Spine CT — sagittal reformat — 512x651 px — 7 vertebrae labeled in this scan
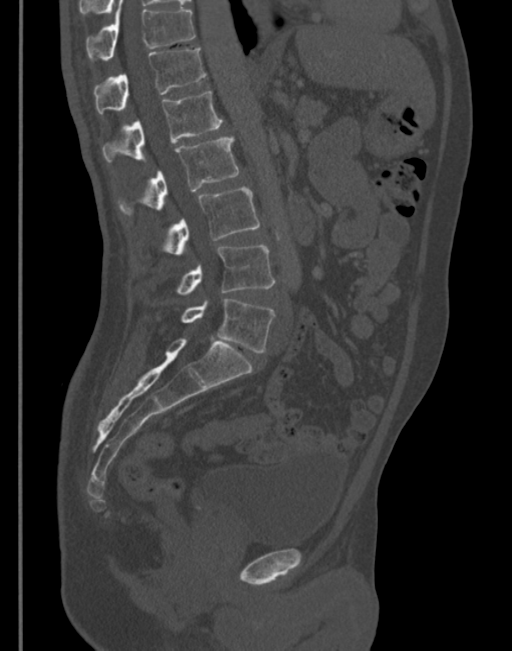 Each box given as x1,y1,x2,y2.
T11: x1=86, y1=0, x2=195, y2=61
T12: x1=93, y1=46, x2=205, y2=114
L1: x1=102, y1=91, x2=223, y2=162
L2: x1=118, y1=138, x2=239, y2=215
L3: x1=163, y1=186, x2=260, y2=255
L4: x1=176, y1=245, x2=275, y2=295
L5: x1=181, y1=299, x2=275, y2=353